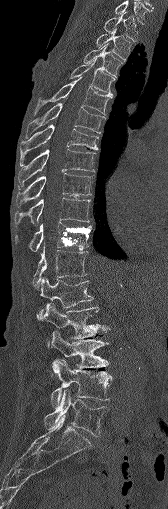 Computed tomography of the spine · sagittal view · bone-window reconstruction · 168x509 px
Each vertebra maps to its box as [x1, y1, x2, y2], the pixel coordinates of its top-left and bottom-right corners.
{"vertebrae":{"L5":[44,390,108,436],"L4":[50,359,111,407],"L3":[52,330,109,367],"L2":[37,303,106,345],"L1":[39,277,93,314],"T12":[33,241,87,289],"T11":[15,222,91,252],"T10":[15,198,90,223],"T9":[15,173,92,205],"T8":[17,149,94,186],"T7":[19,124,97,165],"T6":[26,102,105,137],"T5":[33,76,110,115],"T4":[70,59,114,96],"T3":[84,44,122,76],"T2":[96,28,131,59],"T1":[104,12,137,41],"C7":[115,1,148,23]}}